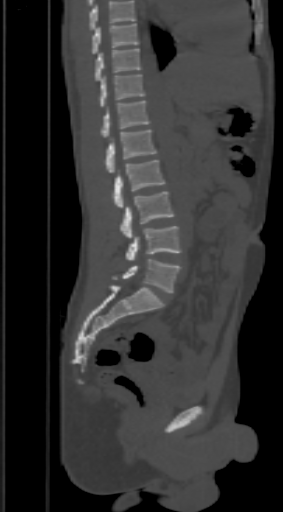

CT spine — sagittal view — W/L 1800/400 HU — 283x512 px
Where the top of the scan cuts through a vertebra, that vertebra gets no label or box.
<vertebrae><v name="T9" x1="92" y1="23" x2="139" y2="54"/><v name="T10" x1="95" y1="48" x2="142" y2="80"/><v name="T11" x1="101" y1="74" x2="145" y2="106"/><v name="T12" x1="101" y1="101" x2="150" y2="138"/><v name="L1" x1="106" y1="129" x2="156" y2="173"/><v name="L2" x1="112" y1="159" x2="164" y2="208"/><v name="L3" x1="120" y1="191" x2="173" y2="239"/><v name="L4" x1="126" y1="226" x2="181" y2="260"/><v name="L5" x1="112" y1="259" x2="181" y2="293"/></vertebrae>